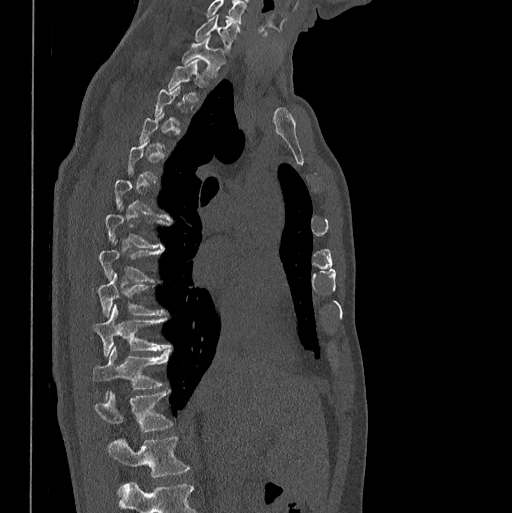 Computed tomography of the spine — sagittal view — bone-window reconstruction — 512x513 px
Boxes below are [x1, y1, x2, y2] in pixels.
Not every vertebra on this slice has a box: a vertebra is boxed only from the first to the last slice where its cross-section is at least a third of its largest, and this slice is outside that range for at least one of them.
The highest labeled vertebra in this scan is C7; the lowest is L1.
{"vertebrae":{"C7":[194,15,238,51],"T1":[181,37,224,77],"T2":[168,59,207,100],"T7":[105,205,170,249],"T8":[99,240,160,280],"T9":[98,272,167,316],"T10":[94,304,171,357],"T11":[92,346,171,398],"T12":[95,389,173,432],"L1":[108,435,189,477]}}